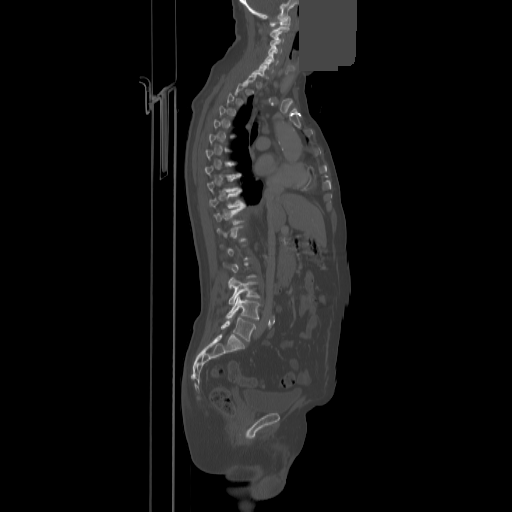 CT, spine — sagittal view — image width 858 mm — a uniform gray block covers part of the image

Box values are [left, top, right, bottom] in pixels.
Not every vertebra on this slice has a box: a vertebra is boxed only from the first to the last slice where its cross-section is at least a third of its largest, and this slice is outside that range for at least one of them.
{"vertebrae":{"L5":[221,317,255,341],"L4":[226,294,259,319],"L3":[228,277,259,304],"T11":[214,205,244,224],"T10":[209,189,243,208],"C7":[251,66,266,76],"C5":[264,53,277,64],"C4":[268,45,281,54],"C3":[270,34,283,46],"C2":[270,26,289,37],"C1":[270,16,290,26]}}